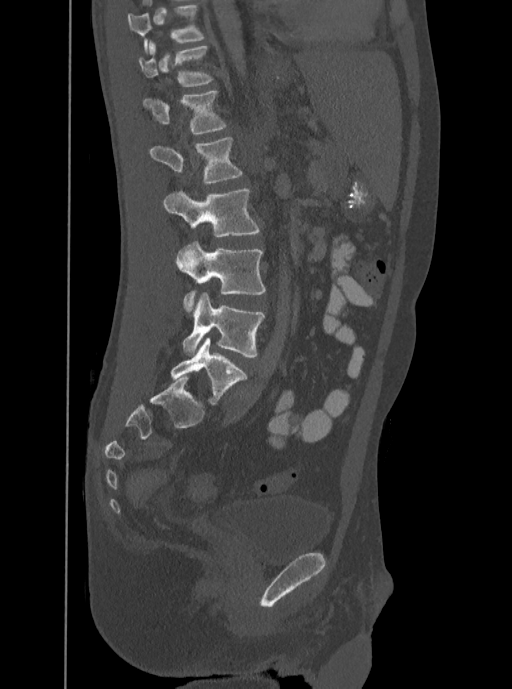
CT spine. sagittal view. image 350 mm wide
Each box given as x1,y1,x2,y2.
This scan's labels start at T12 at the top and end at L5 at the bottom.
T12: x1=138, y1=39, x2=214, y2=86
L1: x1=142, y1=91, x2=227, y2=133
L2: x1=149, y1=137, x2=243, y2=183
L3: x1=164, y1=188, x2=259, y2=237
L4: x1=177, y1=241, x2=265, y2=311
L5: x1=182, y1=292, x2=265, y2=357